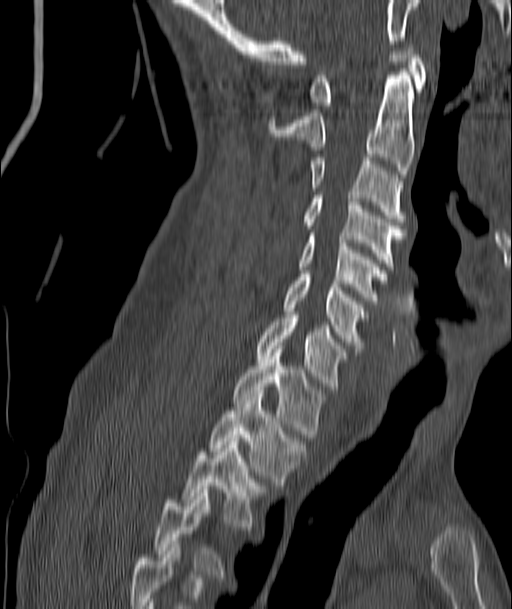 CT. sagittal view
Boxes are (x1, y1, x2, y2) in pixels.
The highest labeled vertebra in this scan is C1; the lowest is T4.
C1: (310, 44, 427, 109)
C2: (269, 68, 413, 177)
C3: (310, 157, 405, 221)
C4: (305, 195, 405, 269)
C5: (299, 233, 386, 300)
C6: (283, 274, 364, 348)
C7: (255, 315, 345, 389)
T1: (234, 349, 323, 437)
T2: (209, 394, 304, 485)
T3: (184, 438, 263, 529)
T4: (154, 493, 224, 574)